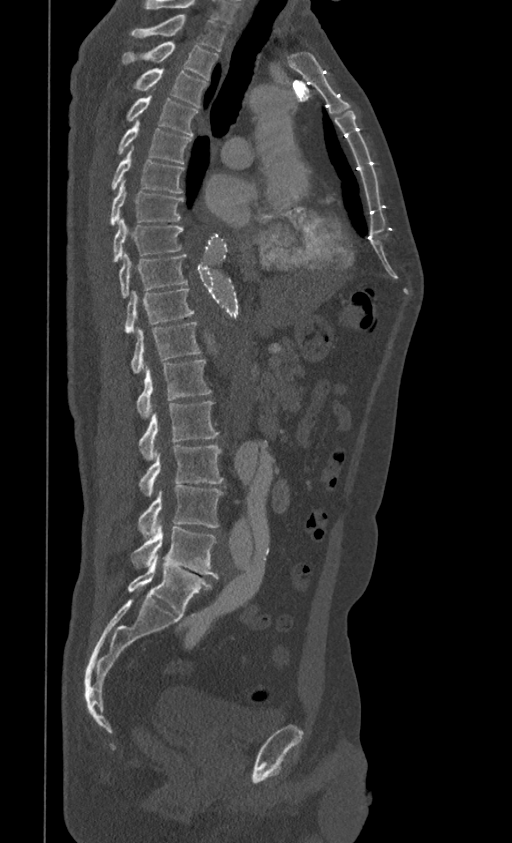 CT, spine · sagittal reformat · Bone window (WL 400, WW 1800) · 512x843 px · the image spans 399 mm across
Labels in this scan begin with T1 at the top and end with L5 at the bottom.
<vertebrae><v name="L5" x1="128" y1="554" x2="212" y2="615"/><v name="L4" x1="131" y1="523" x2="218" y2="578"/><v name="L3" x1="138" y1="485" x2="223" y2="538"/><v name="L2" x1="138" y1="446" x2="223" y2="496"/><v name="L1" x1="138" y1="402" x2="218" y2="460"/><v name="T12" x1="136" y1="359" x2="212" y2="417"/><v name="T11" x1="131" y1="322" x2="200" y2="372"/><v name="T10" x1="124" y1="289" x2="194" y2="333"/><v name="T9" x1="119" y1="253" x2="187" y2="297"/><v name="T8" x1="113" y1="218" x2="182" y2="262"/><v name="T7" x1="110" y1="181" x2="184" y2="225"/><v name="T6" x1="111" y1="148" x2="184" y2="193"/><v name="T5" x1="118" y1="121" x2="191" y2="163"/><v name="T4" x1="127" y1="95" x2="198" y2="136"/><v name="T3" x1="133" y1="68" x2="207" y2="106"/><v name="T2" x1="120" y1="42" x2="218" y2="80"/><v name="T1" x1="131" y1="14" x2="227" y2="50"/></vertebrae>